CT · Sagittal slice 251/512 · bone-window reconstruction · 9 vertebrae labeled in this scan
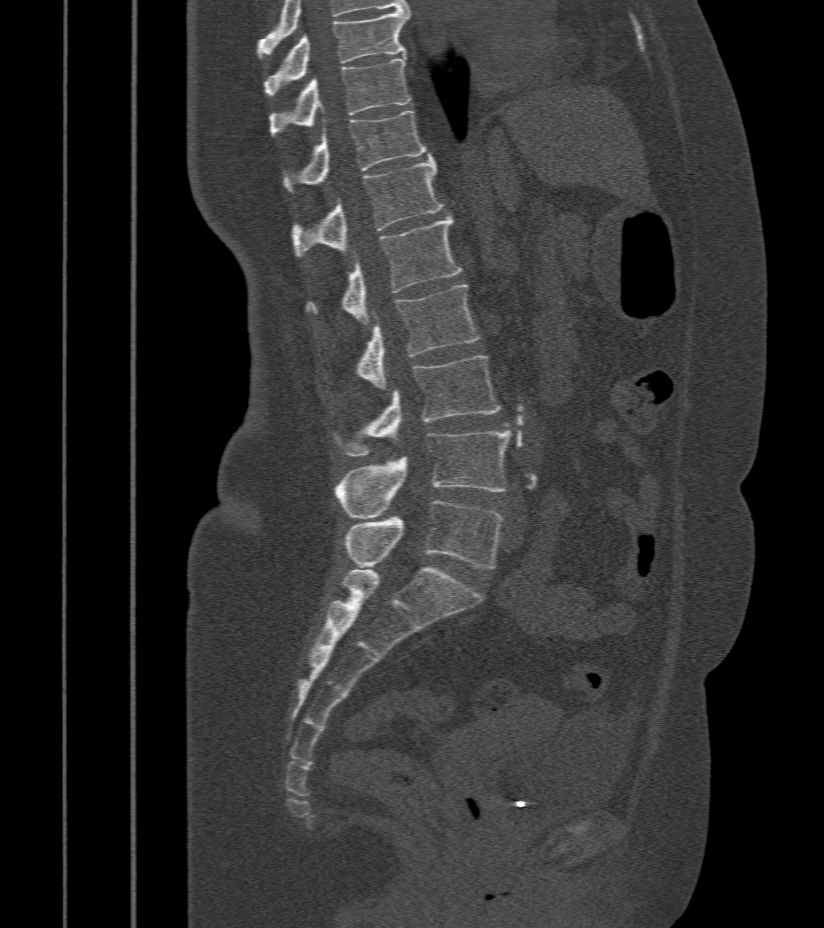

Boxes: x1 y1 x2 y2 (pixel coords, space-separated).
T9: 264 11 409 98
T10: 270 55 411 136
T11: 283 111 429 190
T12: 291 157 443 256
L1: 306 217 461 326
L2: 356 285 479 390
L3: 338 355 501 458
L4: 333 431 511 518
L5: 344 501 503 568